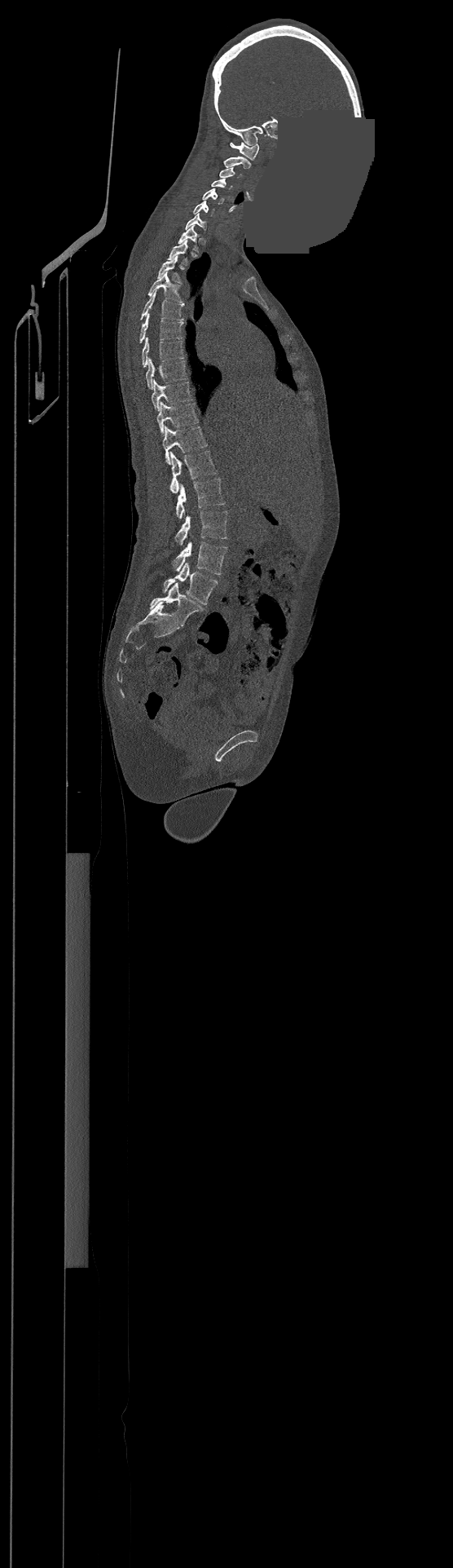 CT spine; sagittal reformat; a uniform gray block covers part of the image
This scan's labels start at C1 at the top and end at L4 at the bottom.
<vertebrae><v name="C1" x1="230" y1="142" x2="259" y2="159"/><v name="C2" x1="224" y1="157" x2="251" y2="168"/><v name="C3" x1="219" y1="167" x2="241" y2="178"/><v name="C4" x1="211" y1="179" x2="231" y2="189"/><v name="C5" x1="201" y1="188" x2="224" y2="204"/><v name="C6" x1="193" y1="201" x2="214" y2="215"/><v name="C7" x1="186" y1="214" x2="205" y2="230"/><v name="T1" x1="178" y1="225" x2="197" y2="251"/><v name="T2" x1="168" y1="240" x2="187" y2="264"/><v name="T3" x1="157" y1="256" x2="180" y2="281"/><v name="T4" x1="148" y1="272" x2="183" y2="303"/><v name="T5" x1="142" y1="291" x2="183" y2="320"/><v name="T6" x1="139" y1="313" x2="183" y2="342"/><v name="T7" x1="143" y1="337" x2="184" y2="367"/><v name="T8" x1="146" y1="358" x2="187" y2="388"/><v name="T9" x1="152" y1="380" x2="191" y2="410"/><v name="T10" x1="156" y1="401" x2="197" y2="434"/><v name="T11" x1="162" y1="426" x2="206" y2="463"/><v name="T12" x1="169" y1="451" x2="217" y2="492"/><v name="L1" x1="177" y1="478" x2="225" y2="519"/><v name="L2" x1="175" y1="510" x2="226" y2="545"/><v name="L3" x1="173" y1="540" x2="226" y2="574"/><v name="L4" x1="163" y1="563" x2="218" y2="604"/></vertebrae>